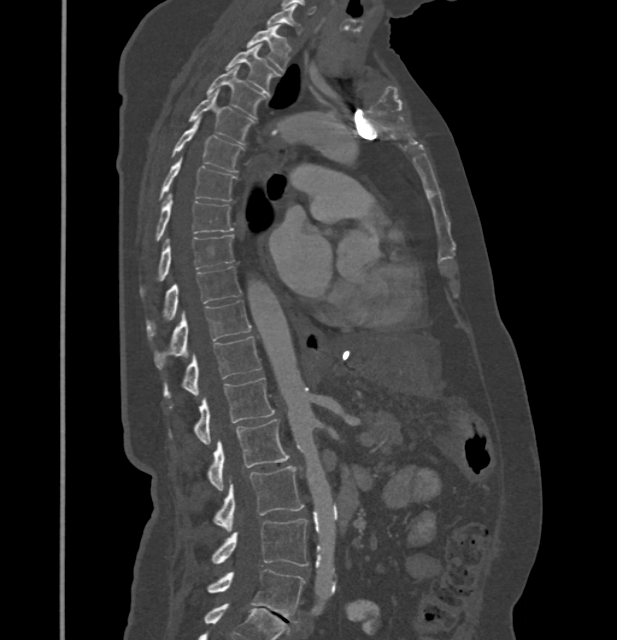 CT spine. sagittal reformat. 617x640 px

Box values are [left, top, right, bottom] in pixels.
These labels give this spine no T12: after T11 the next vertebra is L1.
{"vertebrae":{"C7":[268,7,300,34],"T1":[247,25,291,71],"T2":[225,45,280,92],"T3":[207,66,267,118],"T4":[188,92,255,145],"T5":[171,122,244,172],"T6":[158,159,236,201],"T7":[154,193,233,241],"T8":[140,235,234,299],"T9":[146,267,241,339],"T10":[154,300,250,369],"T11":[163,336,262,399],"L1":[169,377,275,444],"L2":[207,419,288,491],"L3":[212,466,303,529],"L4":[211,519,308,566],"L5":[207,569,305,622]}}